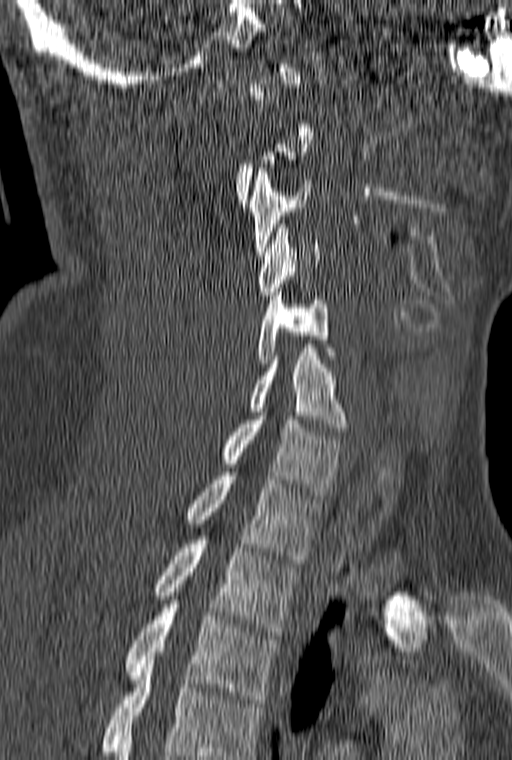 Spine CT — sagittal view — Bone window (WL 400, WW 1800) — 512x760 px. Boxes are (x1, y1, x2, y2) in pixels. Each vertebra is boxed only on the slices from the first to the last where its cross-section reaches a third of its largest, so a slice outside that range leaves it unboxed. This scan's labels start at C1 at the top and end at T3 at the bottom. 8 vertebrae labeled — C3 at (249, 168, 311, 255); C4 at (258, 224, 320, 295); C5 at (257, 292, 336, 367); C6 at (248, 348, 346, 431); C7 at (221, 412, 343, 495); T1 at (186, 472, 321, 563); T2 at (155, 528, 298, 635); T3 at (126, 604, 279, 703).